Spine computed tomography. sagittal view. bone-window reconstruction
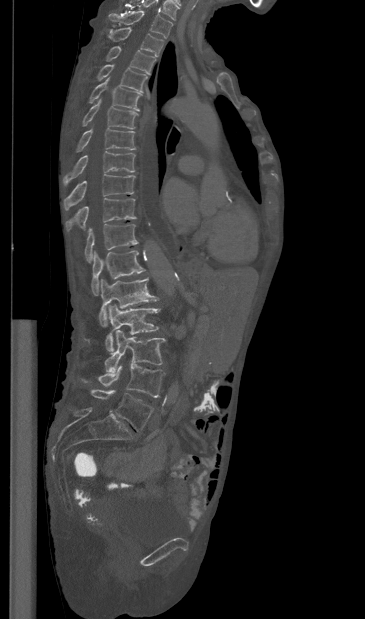
Boxes: x1 y1 x2 y2 (pixel coords, space-separated). This scan's labels start at T1 at the top and end at L5 at the bottom. Vertebrae labeled: T1 at 108 10 172 38, T2 at 109 27 163 56, T3 at 106 46 155 73, T4 at 97 64 147 92, T5 at 89 77 141 111, T6 at 82 99 137 128, T7 at 76 128 135 152, T8 at 62 151 135 185, T9 at 63 174 135 210, T10 at 65 198 136 231, T11 at 85 223 138 262, T12 at 91 250 145 295, L1 at 99 278 158 326, L2 at 105 305 160 353, L3 at 104 329 165 373, L4 at 82 364 164 397, L5 at 91 389 153 431.